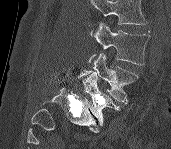

CT. sagittal view. W/L 1800/400 HU
Vertebrae that run past the top of the scan are left unlabeled.
<vertebrae><v name="L3" x1="89" y1="23" x2="149" y2="65"/><v name="L4" x1="77" y1="52" x2="138" y2="103"/><v name="L5" x1="83" y1="72" x2="120" y2="126"/></vertebrae>